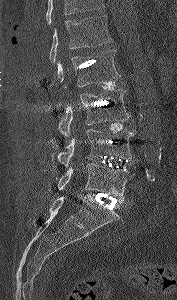
CT spine; sagittal reformat; Bone window (WL 400, WW 1800)
Boxes below are [x1, y1, x2, y2] in pixels.
Where the top of the scan cuts through a vertebra, that vertebra gets no label or box.
{"vertebrae":{"L1":[49,15,111,63],"L2":[57,50,120,87],"L3":[57,89,130,138],"L4":[57,128,134,168],"L5":[57,163,134,202]}}